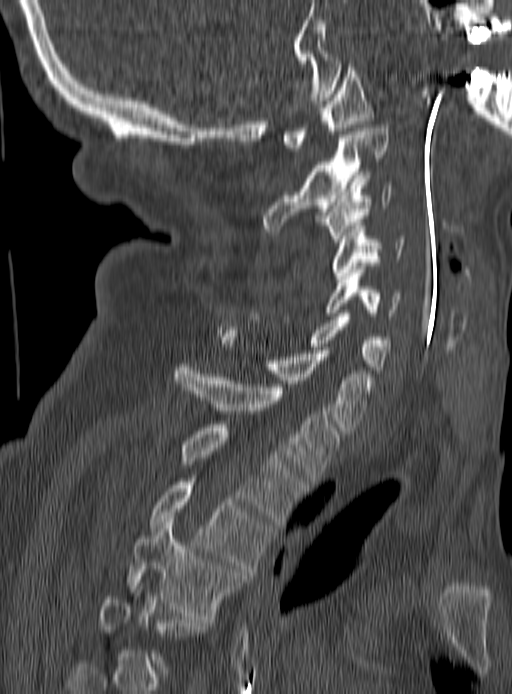
Spine computed tomography — 190 mm across the image — sagittal reformat — 512x694 px
Coordinates as <box>x1,y1,x2,y2</box>.
Not every vertebra on this slice has a box: a vertebra is boxed only from the first to the last slice where its cross-section is at least a third of its largest, and this slice is outside that range for at least one of them.
Vertebra bounding boxes:
- T4: <box>128,519,242,619</box>
- T3: <box>149,482,269,572</box>
- T2: <box>179,424,304,524</box>
- T1: <box>173,364,339,484</box>
- C7: <box>218,333,374,430</box>
- C6: <box>248,313,391,370</box>
- C5: <box>326,269,401,316</box>
- C4: <box>332,226,405,282</box>
- C3: <box>319,175,393,245</box>
- C2: <box>262,125,388,231</box>
- C1: <box>284,64,373,151</box>